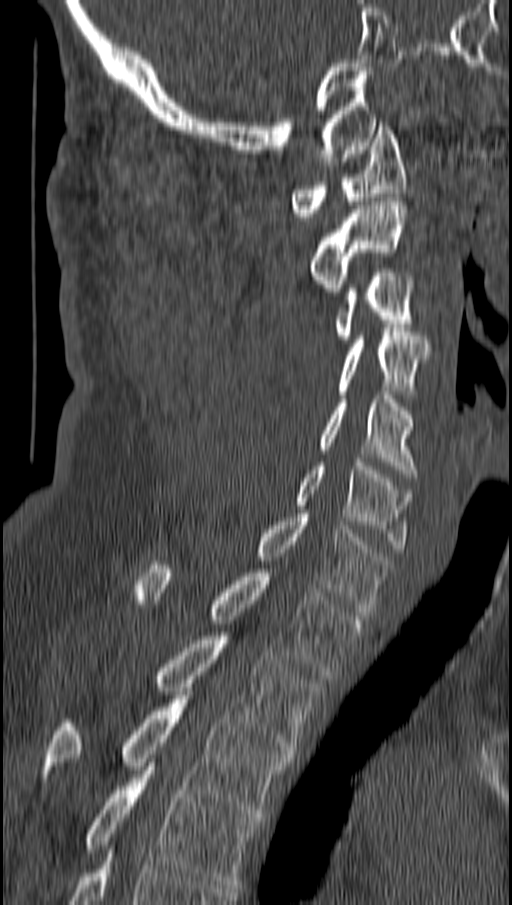 CT spine. sagittal view. W/L 1800/400 HU. 512x905 px
Bounding boxes as [x1, y1, x2, y2] in pixel coordinates. 11 vertebrae labeled — T4 at [83, 762, 259, 888]; T3 at [42, 691, 291, 817]; T2 at [153, 636, 322, 754]; T1 at [136, 561, 360, 675]; C7 at [254, 514, 389, 615]; C6 at [295, 458, 414, 552]; C5 at [317, 395, 417, 477]; C4 at [336, 328, 429, 394]; C3 at [333, 269, 414, 343]; C2 at [308, 201, 408, 295]; C1 at [292, 122, 405, 220].